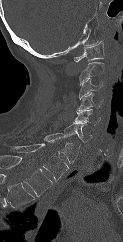

CT. sagittal view. W/L 1800/400 HU

Bounding boxes as [x1, y1, x2, y2] in pixel coordinates.
In this scan, the topmost labeled vertebra is C1 and the lowest is T1.
Vertebra bounding boxes:
- C1: [74, 41, 104, 61]
- C2: [79, 62, 104, 85]
- C3: [79, 78, 102, 100]
- C4: [77, 92, 103, 111]
- C5: [73, 109, 100, 125]
- C6: [56, 123, 92, 142]
- C7: [43, 133, 79, 163]
- T1: [9, 143, 68, 180]